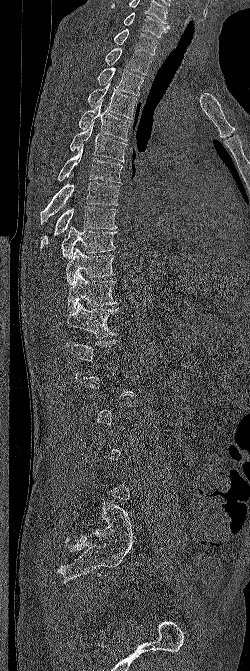
Spine CT; sagittal reformat; 250x671 px; 250 mm image width

Each vertebra maps to its box as [x1, y1, x2, y2], the pixel coordinates of its top-left and bottom-right corners.
A vertebra is boxed only from the first to the last slice where its cross-section is at least a third of its largest; slices outside that range leave it without a box.
This scan's labels start at C6 at the top and end at L5 at the bottom.
{"vertebrae":{"T12":[66,303,118,338],"T11":[68,272,117,312],"T10":[66,248,115,285],"T9":[61,225,117,259],"T8":[40,206,118,248],"T7":[40,182,120,225],"T6":[57,144,122,182],"T5":[69,122,127,162],"T4":[78,101,132,140],"T3":[87,81,137,119],"T2":[97,67,144,95],"T1":[105,47,151,74],"C7":[113,29,158,55],"C6":[123,12,170,37]}}